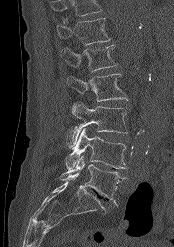 Spine CT · sagittal view · W/L 1800/400 HU · 174x247 px

Boxes: x1:y1:x2:y2 in pixels.
Where the top of the scan cuts through a vertebra, that vertebra gets no label or box.
Vertebra bounding boxes:
- L5: 59:155:125:205
- L4: 65:128:126:169
- L3: 67:102:128:148
- L2: 67:73:128:109
- L1: 60:45:117:72
- T12: 57:18:110:45